Computed tomography of the spine — Sagittal slice 260/512 — bone window — 673x603 px
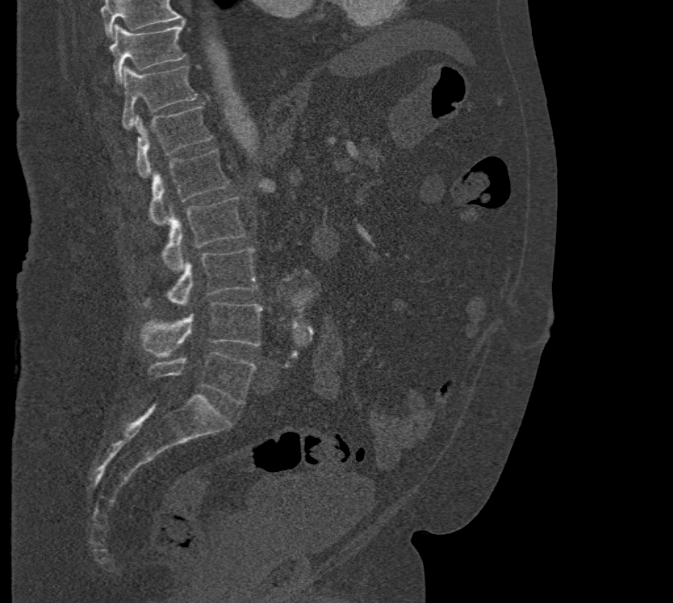 Each box given as x1,y1,x2,y2.
No box is given to a vertebra that the top edge of the scan cuts off.
T10: x1=110, y1=22, x2=186, y2=82
T11: x1=121, y1=66, x2=197, y2=129
T12: x1=134, y1=106, x2=212, y2=178
L1: x1=148, y1=149, x2=229, y2=225
L2: x1=162, y1=196, x2=245, y2=271
L3: x1=142, y1=249, x2=258, y2=308
L4: x1=139, y1=302, x2=263, y2=357
L5: x1=147, y1=352, x2=257, y2=404